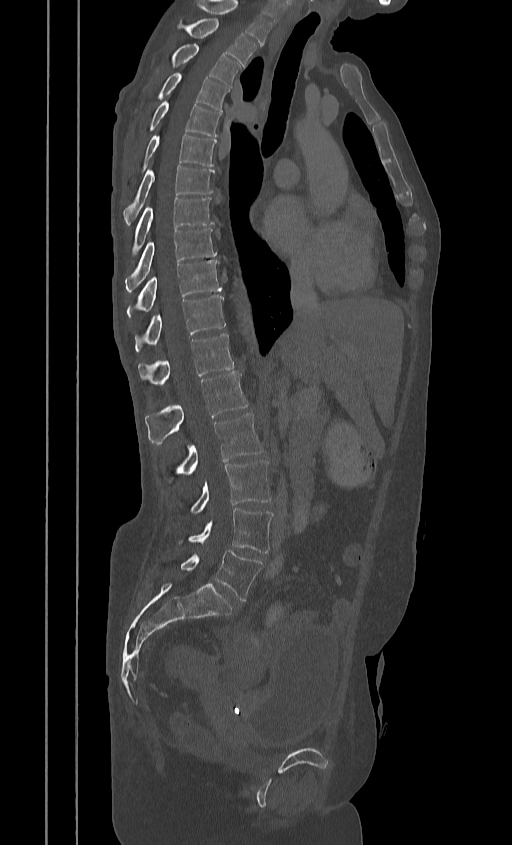 CT, spine; sagittal view. Coordinates as <box>x1,y1,x2,y2</box>.
Labels in this scan begin with T2 at the top and end with L5 at the bottom.
Vertebra bounding boxes:
- T2: <box>186,19,256,66</box>
- T3: <box>170,44,241,87</box>
- T4: <box>157,72,229,111</box>
- T5: <box>148,101,221,136</box>
- T6: <box>130,135,216,183</box>
- T7: <box>124,165,213,224</box>
- T8: <box>130,197,213,256</box>
- T9: <box>125,228,216,291</box>
- T10: <box>126,260,221,318</box>
- T11: <box>134,295,225,351</box>
- T12: <box>138,333,233,384</box>
- L1: <box>145,372,248,444</box>
- L2: <box>169,413,263,480</box>
- L3: <box>190,460,271,512</box>
- L4: <box>180,508,273,552</box>
- L5: <box>180,549,263,600</box>